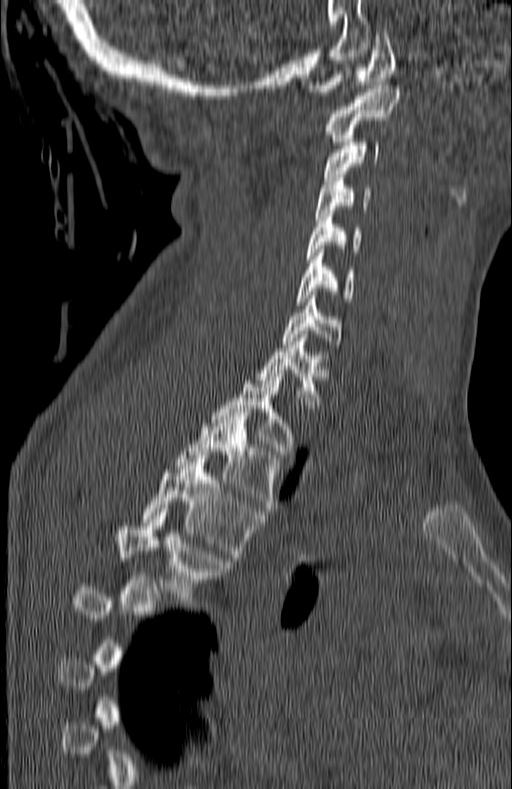

CT. sagittal reformat. W/L 1800/400 HU. 180 mm image width. 512x789 px
A vertebra is boxed only from the first to the last slice where its cross-section is at least a third of its largest; slices outside that range leave it without a box.
<vertebrae><v name="C1" x1="307" y1="32" x2="395" y2="95"/><v name="C2" x1="325" y1="85" x2="398" y2="141"/><v name="C3" x1="324" y1="142" x2="381" y2="180"/><v name="C4" x1="315" y1="174" x2="370" y2="219"/><v name="C5" x1="306" y1="213" x2="361" y2="259"/><v name="C6" x1="297" y1="249" x2="353" y2="305"/><v name="C7" x1="283" y1="299" x2="341" y2="347"/><v name="T1" x1="256" y1="334" x2="330" y2="411"/><v name="T2" x1="211" y1="373" x2="299" y2="454"/><v name="T3" x1="174" y1="412" x2="282" y2="511"/><v name="T4" x1="142" y1="459" x2="262" y2="557"/><v name="T5" x1="118" y1="512" x2="233" y2="607"/></vertebrae>